CT spine — Sagittal slice 208/380 — scan covers 18 annotated vertebrae
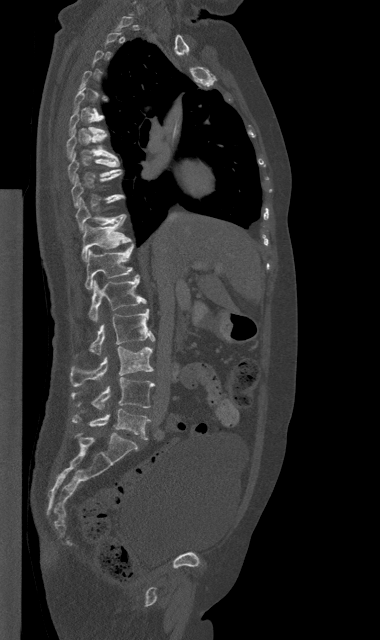

Boxes: x1 y1 x2 y2 (pixel coords, space-separated).
Each vertebra is boxed only on the slices from the first to the last where its cross-section reaches a third of its largest, so a slice outside that range leaves it unboxed.
T7: 66 131 118 159
T8: 68 152 122 183
T9: 71 173 124 207
T10: 76 198 125 231
T11: 81 220 131 260
T12: 85 244 133 289
L1: 89 275 146 322
L2: 90 309 154 355
L3: 70 346 153 386
L4: 71 377 154 410
L5: 72 409 150 439